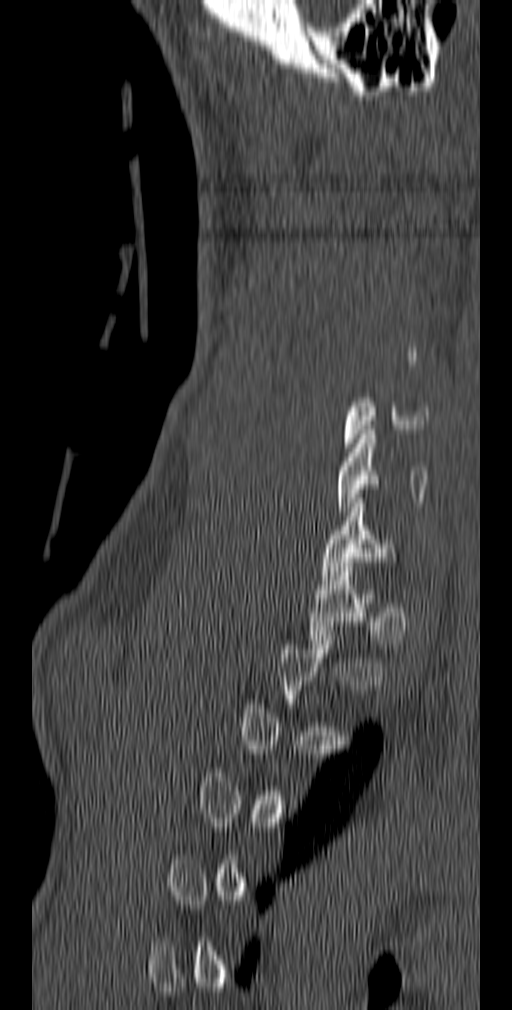
Spine computed tomography; sagittal view; bone window; 140 mm image width
Box values are [left, top, right, bottom] in pixels.
A vertebra gets a box only on the slices from the first to the last where its cross-section is at least a third of its largest; on a slice outside that range it gets none.
{"vertebrae":{"C5":[343,398,429,452],"C6":[337,430,427,516],"C7":[321,498,396,580]}}